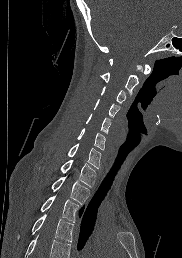 Computed tomography of the spine; sagittal view; bone window; 182x258 px
A vertebra cut off by the bottom edge of the scan is not labeled and has no box.
<vertebrae><v name="C1" x1="109" y1="58" x2="151" y2="74"/><v name="C2" x1="101" y1="64" x2="142" y2="96"/><v name="C3" x1="100" y1="86" x2="125" y2="104"/><v name="C4" x1="94" y1="99" x2="118" y2="118"/><v name="C5" x1="86" y1="113" x2="110" y2="133"/><v name="C6" x1="77" y1="128" x2="105" y2="150"/><v name="C7" x1="67" y1="143" x2="101" y2="168"/><v name="T1" x1="60" y1="159" x2="95" y2="186"/><v name="T2" x1="51" y1="176" x2="89" y2="204"/><v name="T3" x1="40" y1="195" x2="79" y2="222"/><v name="T4" x1="18" y1="214" x2="73" y2="241"/></vertebrae>